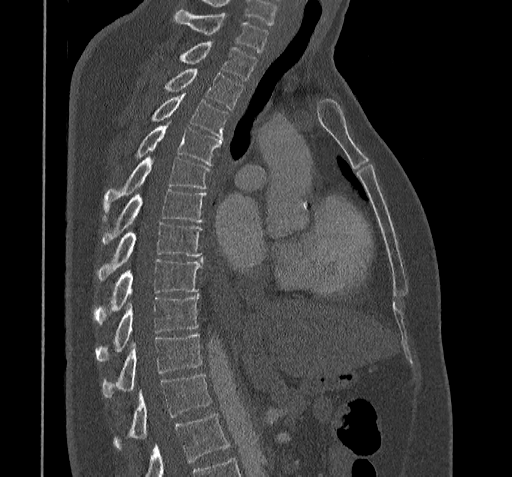 Spine computed tomography; sagittal view
A vertebra cut off by the bottom edge of the scan is not labeled and has no box.
<vertebrae><v name="C7" x1="175" y1="9" x2="267" y2="52"/><v name="T1" x1="179" y1="42" x2="256" y2="79"/><v name="T2" x1="165" y1="67" x2="242" y2="109"/><v name="T3" x1="152" y1="93" x2="228" y2="141"/><v name="T4" x1="136" y1="122" x2="221" y2="164"/><v name="T5" x1="103" y1="157" x2="209" y2="214"/><v name="T6" x1="101" y1="189" x2="205" y2="244"/><v name="T7" x1="97" y1="222" x2="202" y2="279"/><v name="T8" x1="94" y1="259" x2="202" y2="322"/><v name="T9" x1="95" y1="295" x2="199" y2="361"/><v name="T10" x1="103" y1="333" x2="202" y2="398"/><v name="T11" x1="114" y1="374" x2="210" y2="447"/></vertebrae>